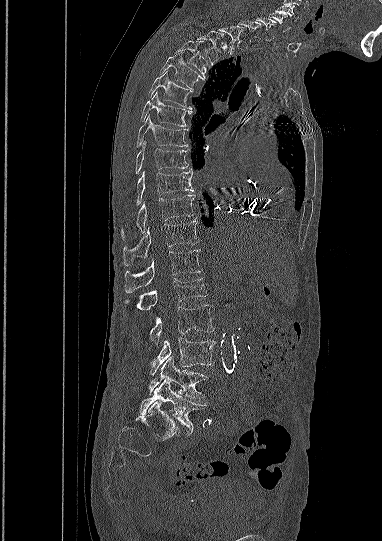 Spine CT · sagittal view · Bone window (WL 400, WW 1800)
Each vertebra is boxed only on the slices from the first to the last where its cross-section reaches a third of its largest, so a slice outside that range leaves it unboxed.
Labels in this scan begin with C5 at the top and end with L5 at the bottom.
<vertebrae><v name="C5" x1="268" y1="12" x2="289" y2="32"/><v name="C6" x1="256" y1="17" x2="276" y2="40"/><v name="T1" x1="218" y1="25" x2="245" y2="54"/><v name="T2" x1="196" y1="31" x2="220" y2="65"/><v name="T3" x1="175" y1="40" x2="206" y2="78"/><v name="T4" x1="161" y1="55" x2="203" y2="88"/><v name="T5" x1="149" y1="72" x2="191" y2="109"/><v name="T6" x1="141" y1="92" x2="191" y2="126"/><v name="T7" x1="137" y1="115" x2="187" y2="147"/><v name="T8" x1="136" y1="140" x2="189" y2="173"/><v name="T9" x1="136" y1="169" x2="193" y2="203"/><v name="T10" x1="122" y1="194" x2="194" y2="239"/><v name="T11" x1="123" y1="220" x2="197" y2="265"/><v name="T12" x1="124" y1="249" x2="201" y2="292"/><v name="L1" x1="137" y1="278" x2="206" y2="310"/><v name="L2" x1="149" y1="305" x2="214" y2="345"/><v name="L3" x1="150" y1="338" x2="214" y2="375"/><v name="L4" x1="148" y1="356" x2="206" y2="400"/><v name="L5" x1="140" y1="379" x2="207" y2="432"/></vertebrae>